CT, spine; sagittal plane, index 241; W/L 1800/400 HU
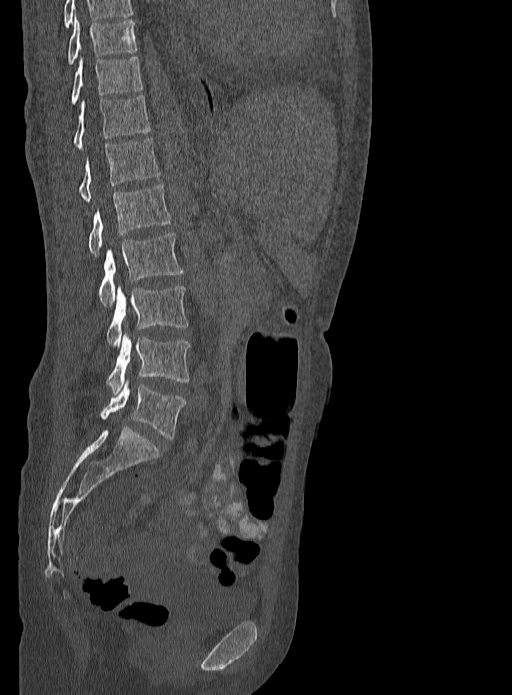 Boxes: x1:y1:x2:y2 in pixels.
In this scan, the topmost labeled vertebra is T9 and the lowest is L5.
Vertebra bounding boxes:
- T9: 67:17:137:64
- T10: 72:55:142:104
- T11: 74:95:149:148
- T12: 80:138:160:202
- L1: 89:185:171:256
- L2: 98:232:183:307
- L3: 107:286:188:346
- L4: 107:332:189:394
- L5: 101:377:185:439